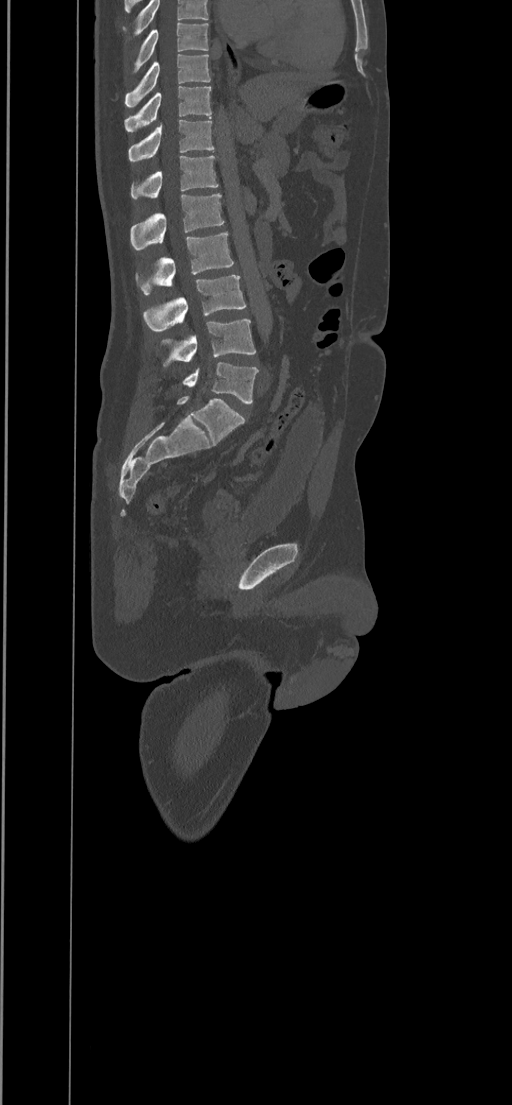 CT spine · image width 434 mm · sagittal view · bone-window reconstruction
Each box is [x1, y1, x2, y2] in pixels: top-left corner, then bottom-right corner.
In this scan, the topmost labeled vertebra is T8 and the lowest is L5.
{"vertebrae":{"L5":[182,362,258,404],"L4":[162,319,256,366],"L3":[143,275,245,330],"L2":[135,233,234,294],"L1":[130,193,224,250],"T12":[131,156,218,199],"T11":[128,119,214,161],"T10":[125,86,212,131],"T9":[125,54,210,107],"T8":[132,22,208,72]}}